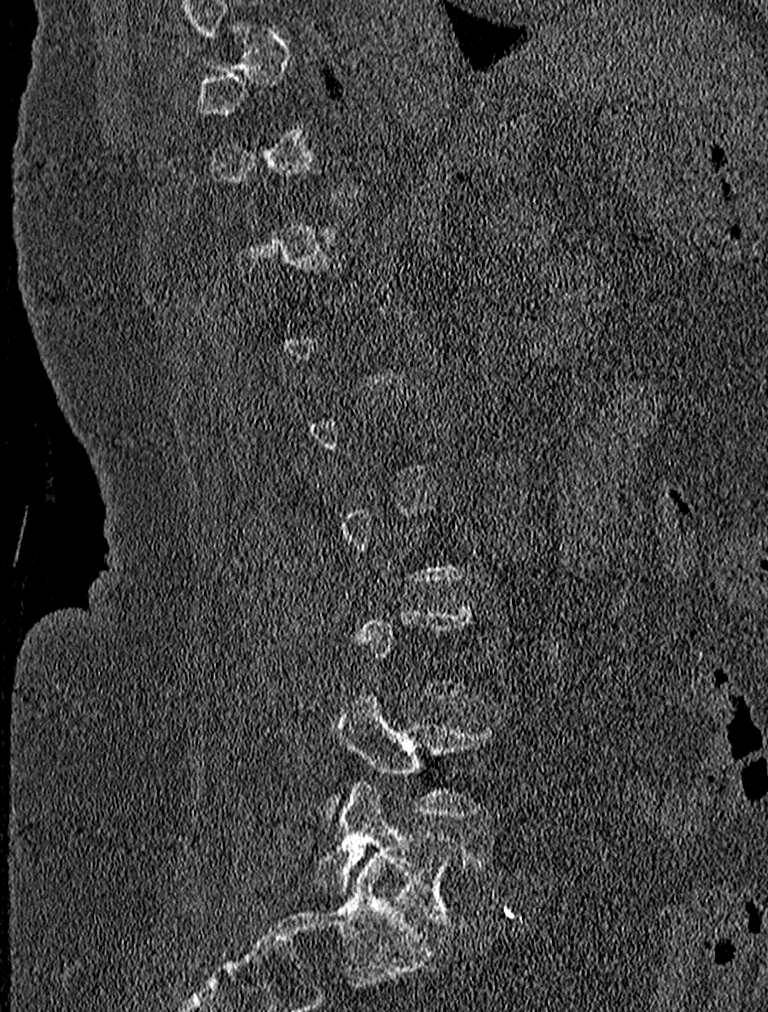 CT; sagittal view; Bone window (WL 400, WW 1800); image 227 mm wide
Box edges are left/top/right/bottom in pixels.
Not every vertebra on this slice has a box: a vertebra is boxed only from the first to the last slice where its cross-section is at least a third of its largest, and this slice is outside that range for at least one of them.
| vertebra | x1 | y1 | x2 | y2 |
|---|---|---|---|---|
| L4 | 326 | 691 | 496 | 820 |
| L5 | 313 | 783 | 485 | 928 |